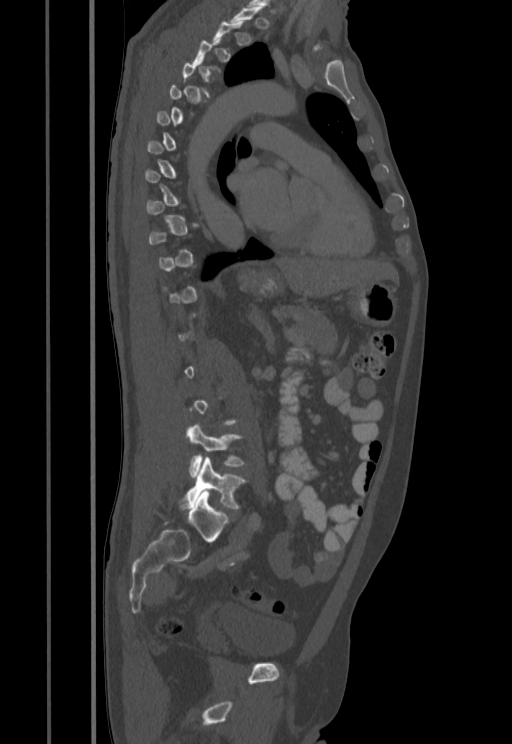 CT — sagittal reformat
Boxes are given in columns x1, y1, x2, y2, the pixel coordinates of their top-left and bottom-right corners.
Each vertebra is boxed only on the slices from the first to the last where its cross-section reaches a third of its largest, so a slice outside that range leaves it unboxed.
| vertebra | x1 | y1 | x2 | y2 |
|---|---|---|---|---|
| L4 | 187 | 425 | 245 | 476 |
| L5 | 180 | 457 | 245 | 510 |